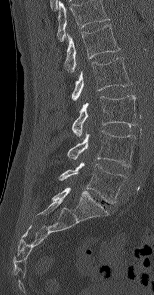
Spine computed tomography. sagittal view
Box values are [left, top, right, bottom] in pixels.
This scan's labels start at L1 at the top and end at L5 at the bottom.
{"vertebrae":{"L5":[59,162,127,203],"L4":[67,130,135,166],"L3":[72,95,137,136],"L2":[71,57,131,105],"L1":[64,24,120,72]}}